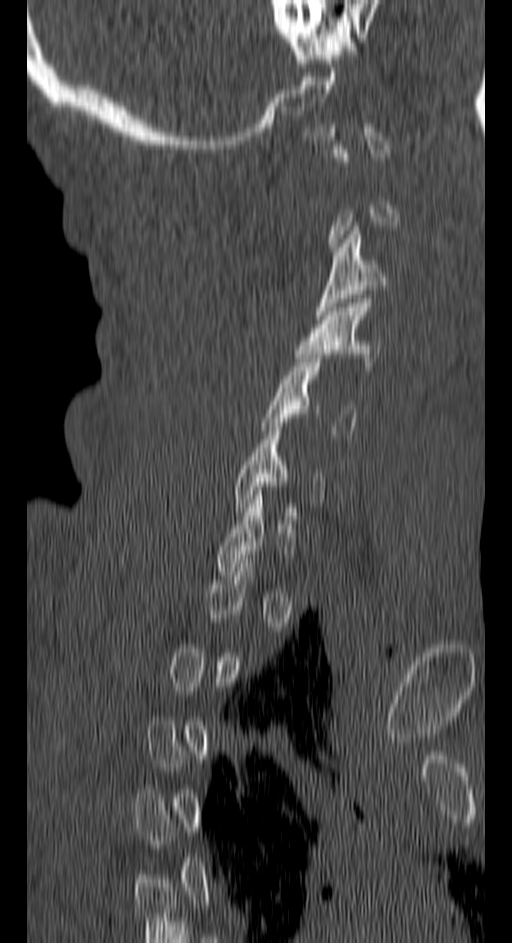 CT spine. sagittal view. 512x943 px
Box edges are left/top/right/bottom in pixels.
Each vertebra is boxed only on the slices from the first to the last where its cross-section reaches a third of its largest, so a slice outside that range leaves it unboxed.
| vertebra | x1 | y1 | x2 | y2 |
|---|---|---|---|---|
| C5 | 261 | 354 | 355 | 434 |
| C4 | 294 | 299 | 380 | 370 |
| C3 | 314 | 226 | 386 | 319 |